Computed tomography of the spine — sagittal reformat
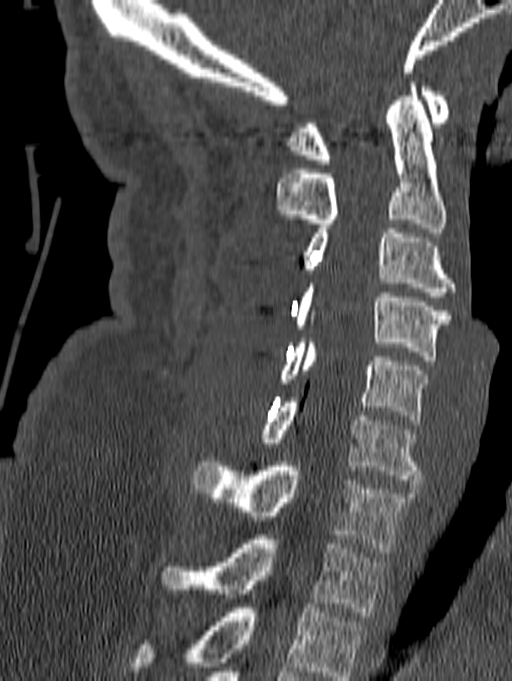

Boxes: x1:y1:x2:y2 in pixels. This scan's labels start at C1 at the top and end at T1 at the bottom. The labeled vertebrae in this slice are: C1 at 289:82:450:164, C2 at 275:82:446:232, C3 at 304:229:456:296, C4 at 294:283:450:360, C5 at 276:338:428:424, C6 at 261:398:421:484, C7 at 192:462:414:552, T1 at 160:535:386:616.